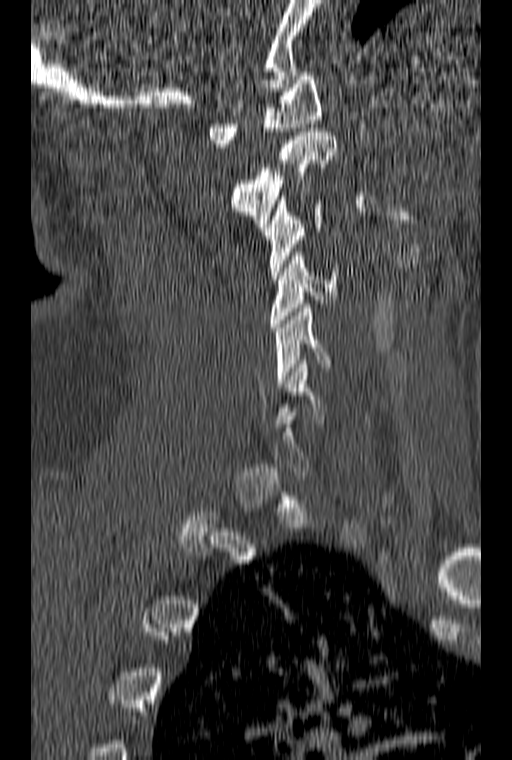
Computed tomography of the spine; sagittal view; bone-window reconstruction; 160 mm image width
Box edges are left/top/right/bottom in pixels. Not every vertebra on this slice has a box: a vertebra is boxed only from the first to the last slice where its cross-section is at least a third of its largest, and this slice is outside that range for at least one of them. The labeled vertebrae in this slice are: C1 at left=208, top=72, right=321, bottom=147, C2 at left=230, top=128, right=337, bottom=227, C3 at left=263, top=196, right=323, bottom=279, C4 at left=270, top=252, right=338, bottom=331, C5 at left=275, top=304, right=330, bottom=387.